Computed tomography of the spine — Sagittal slice 109/250 — bone window — 18 vertebrae labeled in this scan
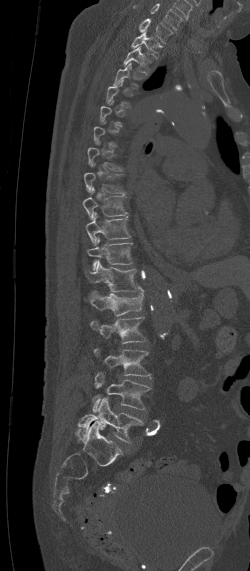
Box edges are left/top/right/bottom in pixels.
Each vertebra is boxed only on the slices from the first to the last where its cross-section reaches a third of its largest, so a slice outside that range leaves it unboxed.
Labels in this scan begin with C7 at the top and end with L5 at the bottom.
| vertebra | x1 | y1 | x2 | y2 |
|---|---|---|---|---|
| C7 | 139 | 18 | 173 | 43 |
| T1 | 131 | 30 | 163 | 58 |
| T2 | 123 | 46 | 151 | 75 |
| T8 | 84 | 172 | 125 | 193 |
| T9 | 83 | 188 | 126 | 218 |
| T10 | 85 | 212 | 130 | 245 |
| T11 | 87 | 237 | 132 | 270 |
| T12 | 84 | 260 | 137 | 292 |
| L1 | 90 | 286 | 143 | 315 |
| L2 | 90 | 317 | 145 | 343 |
| L3 | 94 | 348 | 153 | 377 |
| L4 | 92 | 372 | 150 | 412 |
| L5 | 76 | 397 | 145 | 442 |